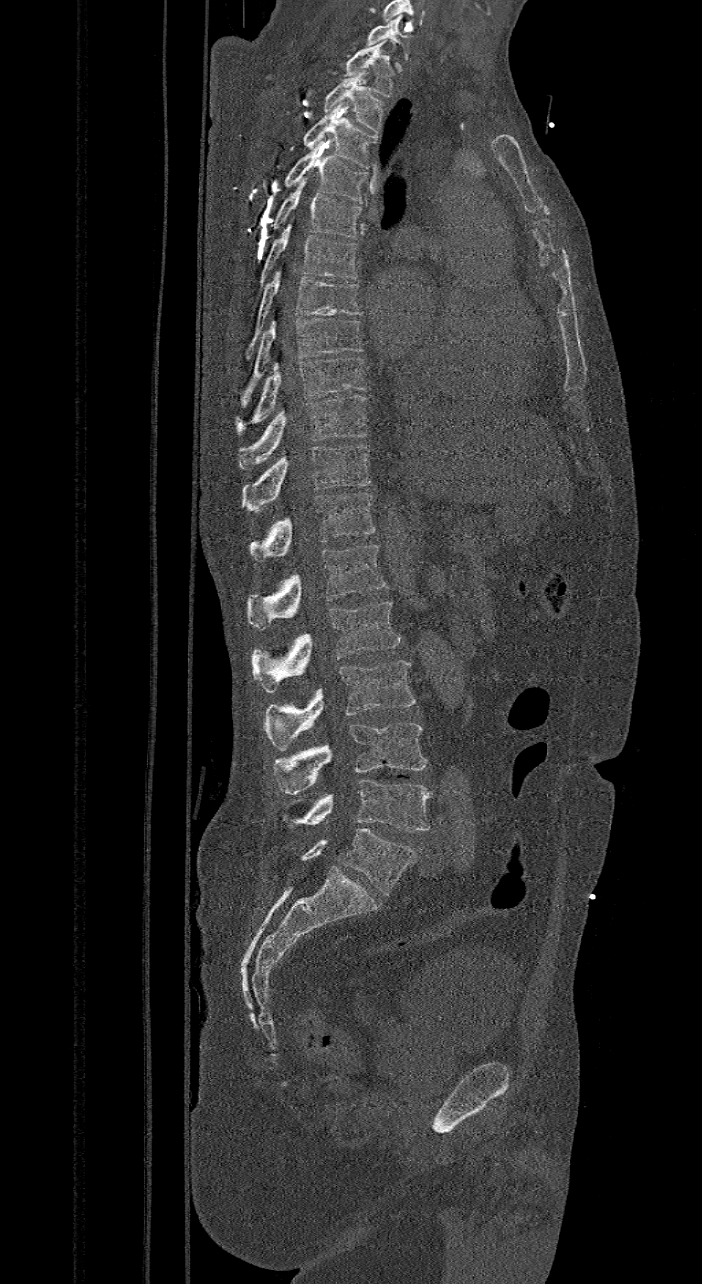 CT spine — sagittal reformat — image 421 mm wide
Each box is [x1, y1, x2, y2] in pixels: top-left corner, then bottom-right corner.
These labels give the spine a sixth lumbar vertebra, L6, below L5.
{"vertebrae":{"C7":[365,15,409,60],"T1":[343,40,395,96],"T2":[323,69,385,132],"T3":[303,103,377,169],"T4":[285,141,369,203],"T5":[271,179,362,239],"T6":[248,223,359,303],"T7":[244,267,362,359],"T8":[240,318,362,407],"T9":[234,357,368,434],"T10":[238,395,368,469],"T11":[241,444,370,511],"T12":[249,492,376,560],"L1":[247,545,385,629],"L2":[252,600,401,692],"L3":[263,661,416,750],"L4":[273,723,427,794],"L5":[284,779,432,832],"L6":[300,828,416,895]}}